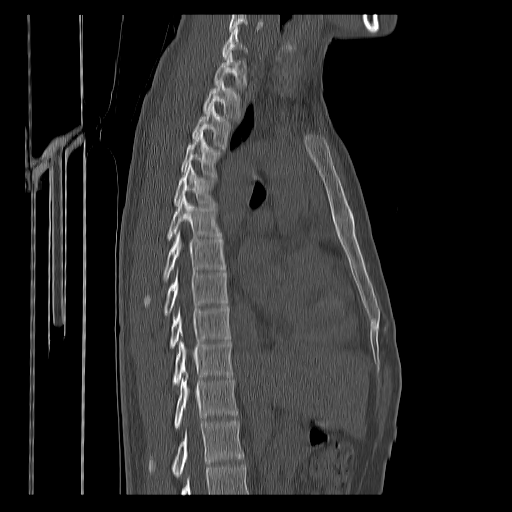
CT, spine; sagittal view

No box is given to a vertebra that the bottom edge of the scan cuts off.
In this scan, the topmost labeled vertebra is C7 and the lowest is T12.
<vertebrae><v name="T12" x1="149" y1="420" x2="244" y2="478"/><v name="T11" x1="174" y1="374" x2="237" y2="429"/><v name="T10" x1="173" y1="339" x2="232" y2="386"/><v name="T9" x1="170" y1="306" x2="230" y2="349"/><v name="T8" x1="164" y1="270" x2="227" y2="315"/><v name="T7" x1="145" y1="232" x2="226" y2="304"/><v name="T6" x1="167" y1="196" x2="221" y2="240"/><v name="T5" x1="174" y1="164" x2="214" y2="205"/><v name="T4" x1="181" y1="133" x2="219" y2="176"/><v name="T3" x1="192" y1="106" x2="230" y2="149"/><v name="T2" x1="202" y1="81" x2="240" y2="118"/><v name="T1" x1="214" y1="53" x2="246" y2="87"/><v name="C7" x1="223" y1="28" x2="247" y2="58"/></vertebrae>